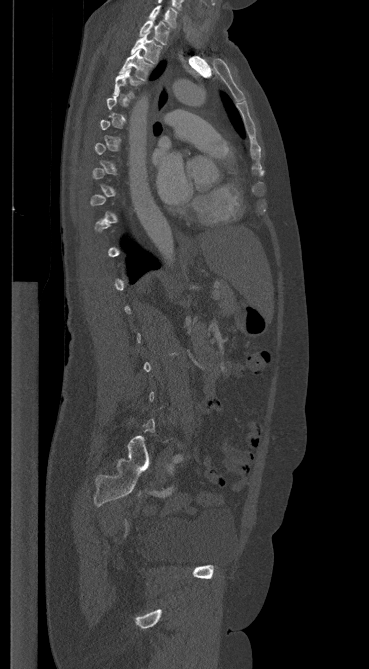 Computed tomography of the spine; sagittal view; bone window
Each vertebra maps to its box as [x1, y1, x2, y2], the pixel coordinates of its top-left and bottom-right corners.
A vertebra is boxed only from the first to the last slice where its cross-section is at least a third of its largest; slices outside that range leave it without a box.
{"vertebrae":{"C7":[149,5,177,27],"T1":[139,20,169,44],"T2":[131,32,161,63],"T3":[120,50,152,80],"T4":[113,68,140,97]}}